Spine computed tomography · Sagittal slice 98/210 · bone window
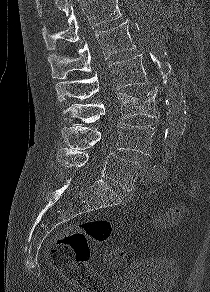
Boxes: x1:y1:x2:y2 in pixels.
Where the top of the scan cuts through a vertebra, that vertebra gets no label or box.
L5: 56:148:141:191
L4: 61:122:154:155
L3: 63:87:159:125
L2: 55:54:148:101
L1: 48:20:136:79